CT, spine · image 367 mm wide · Sagittal slice 239/512
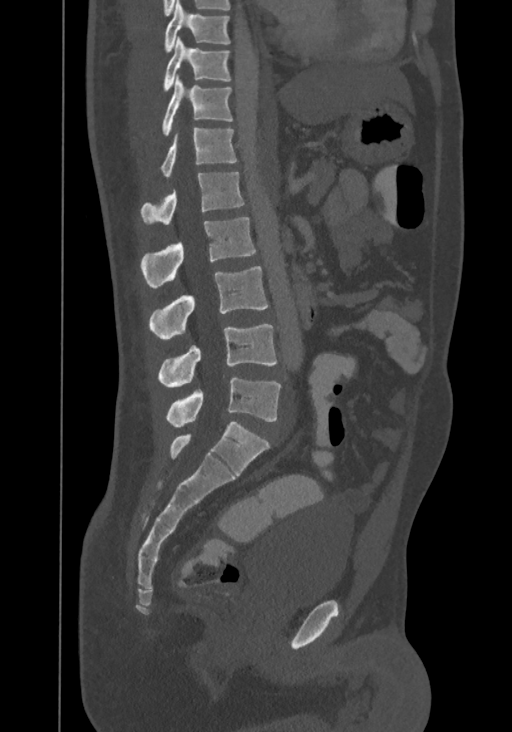

Box edges are left/top/right/bottom in pixels.
In this scan, the topmost labeled vertebra is T8 and the lowest is L4.
T8: left=164, top=0, right=229, bottom=52
T9: left=163, top=36, right=230, bottom=91
T10: left=162, top=75, right=232, bottom=136
T11: left=162, top=127, right=236, bottom=177
T12: left=141, top=171, right=244, bottom=225
L1: left=141, top=217, right=255, bottom=288
L2: left=149, top=266, right=268, bottom=339
L3: left=157, top=324, right=276, bottom=387
L4: left=166, top=378, right=281, bottom=427